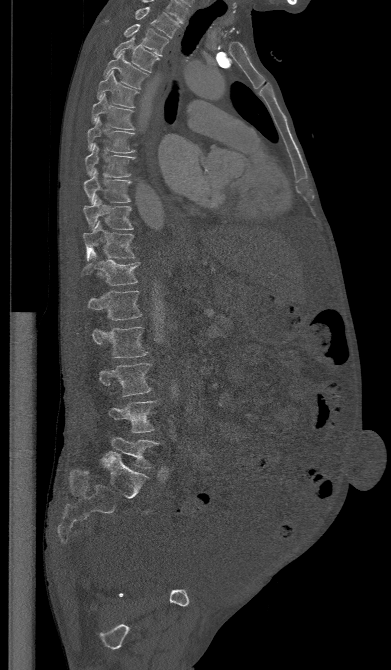 CT · sagittal view
Box edges are left/top/right/bottom in pixels. The labeled vertebrae in this slice are: T1 at left=135, top=7, right=179, bottom=38, T2 at left=105, top=19, right=168, bottom=56, T3 at left=113, top=35, right=159, bottom=72, T4 at left=103, top=51, right=147, bottom=88, T5 at left=97, top=71, right=139, bottom=107, T6 at left=91, top=93, right=134, bottom=129, T7 at left=87, top=116, right=134, bottom=153, T8 at left=85, top=144, right=133, bottom=176, T9 at left=84, top=169, right=131, bottom=203, T10 at left=83, top=196, right=133, bottom=230, T11 at left=83, top=221, right=135, bottom=260, T12 at left=81, top=250, right=140, bottom=285, L1 at left=86, top=291, right=141, bottom=320, L2 at left=91, top=327, right=148, bottom=357, L3 at left=98, top=363, right=152, bottom=396, L4 at left=107, top=400, right=159, bottom=432, L5 at left=108, top=437, right=159, bottom=469.